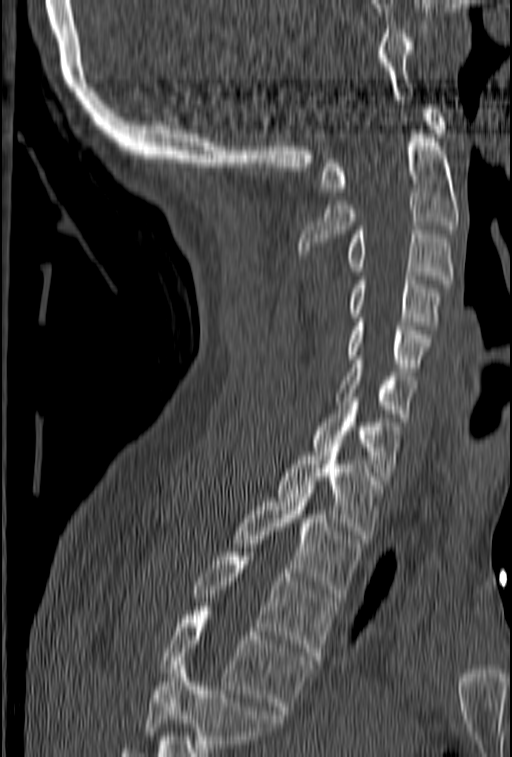

CT spine. sagittal view. 512x757 px. 153 mm wide
Boxes: x1 y1 x2 y2 (pixel coords, space-separated). Vertebrae that run past the bottom of the scan are left unlabeled. The labeled vertebrae in this slice are: C1 at 319 105 446 191, C2 at 299 130 459 254, C3 at 346 226 453 283, C4 at 349 276 439 325, C5 at 346 318 432 371, C6 at 336 360 417 421, C7 at 312 397 402 476, T1 at 278 448 382 543, T2 at 232 489 362 597, T3 at 192 552 336 660, T4 at 161 611 312 714.